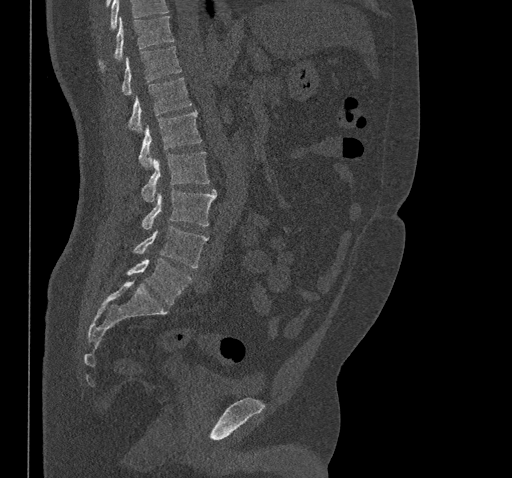 Computed tomography of the spine — the image is 461 mm wide — sagittal reformat

A vertebra cut off by the top edge of the scan is not labeled and has no box.
<vertebrae><v name="T10" x1="99" y1="16" x2="173" y2="68"/><v name="T11" x1="122" y1="46" x2="181" y2="95"/><v name="T12" x1="129" y1="77" x2="192" y2="131"/><v name="L1" x1="139" y1="110" x2="202" y2="168"/><v name="L2" x1="141" y1="151" x2="209" y2="201"/><v name="L3" x1="142" y1="189" x2="216" y2="229"/><v name="L4" x1="133" y1="226" x2="208" y2="268"/><v name="L5" x1="127" y1="258" x2="192" y2="305"/></vertebrae>